CT spine. Sagittal slice 80/177. bone window. scan covers 5 annotated vertebrae
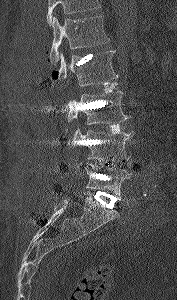 Each box given as x1,y1,x2,y2.
No box is given to a vertebra that the top edge of the scan cuts off.
| vertebra | x1 | y1 | x2 | y2 |
|---|---|---|---|---|
| L1 | 49 | 16 | 110 | 65 |
| L2 | 52 | 50 | 118 | 86 |
| L3 | 67 | 91 | 131 | 124 |
| L4 | 73 | 126 | 133 | 161 |
| L5 | 84 | 164 | 133 | 199 |